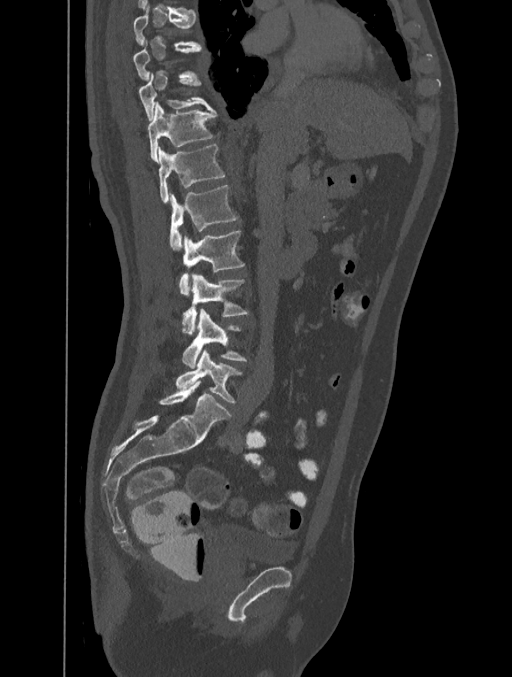 CT — image width 401 mm — sagittal view — 512x677 px
Box values are [left, top, right, bottom] in pixels.
A vertebra is boxed only from the first to the last slice where its cross-section is at least a third of its largest; slices outside that range leave it without a box.
{"vertebrae":{"L5":[175,350,241,402],"L4":[182,309,247,367],"L3":[182,273,248,333],"L2":[179,230,244,295],"L1":[170,185,238,250],"T12":[158,145,225,204],"T11":[148,102,217,163],"T10":[138,72,214,120],"T8":[133,3,201,46]}}